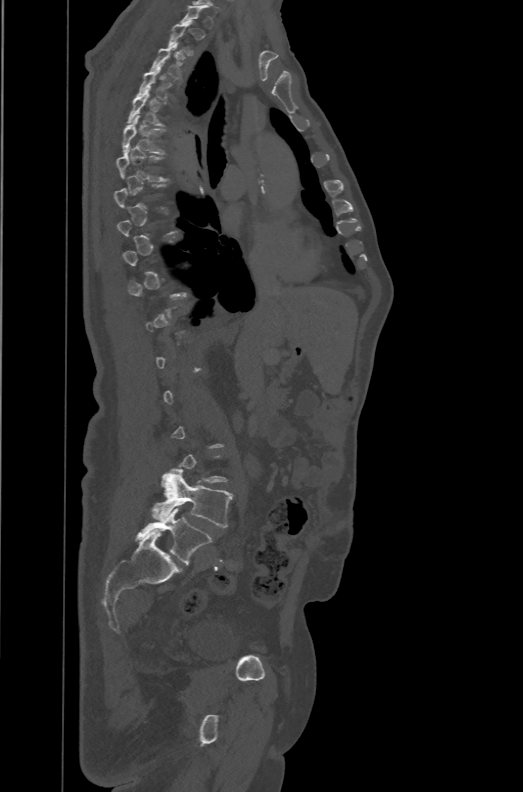 CT spine. sagittal reformat. Bone window (WL 400, WW 1800)
Boxes: x1:y1:x2:y2 in pixels.
A vertebra gets a box only on the slices from the first to the last where its cross-section is at least a third of its largest; on a slice outside that range it gets none.
These labels give the spine a sixth lumbar vertebra, L6, below L5.
Vertebra bounding boxes:
- T3: 150:42:182:79
- T5: 127:90:166:125
- T6: 122:115:166:153
- T7: 117:146:168:181
- L5: 152:468:232:528
- L6: 135:508:213:564